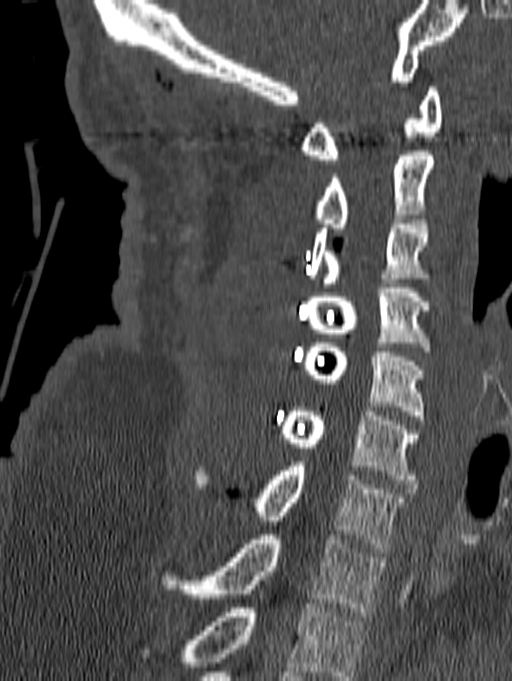

Spine computed tomography. sagittal view. 512x681 px
Bounding boxes as [x1, y1, x2, y2] in pixel coordinates.
The highest labeled vertebra in this scan is C1; the lowest is T1.
Vertebra bounding boxes:
- T1: [162, 535, 383, 616]
- C7: [257, 462, 406, 552]
- C6: [279, 407, 417, 484]
- C5: [304, 338, 425, 420]
- C4: [306, 288, 430, 351]
- C3: [309, 219, 429, 287]
- C2: [316, 151, 433, 232]
- C1: [301, 87, 441, 164]